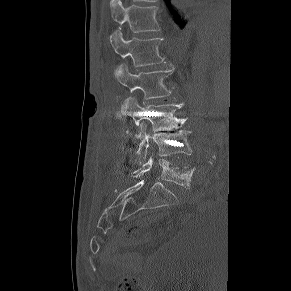 Spine CT · image width 291 mm · sagittal reformat · bone-window reconstruction. Box edges are left/top/right/bottom in pixels.
| vertebra | x1 | y1 | x2 | y2 |
|---|---|---|---|---|
| L5 | 133 | 157 | 195 | 188 |
| L4 | 135 | 123 | 191 | 163 |
| L3 | 121 | 96 | 187 | 131 |
| L2 | 115 | 64 | 174 | 99 |
| L1 | 110 | 31 | 164 | 66 |
| T12 | 110 | 0 | 159 | 32 |